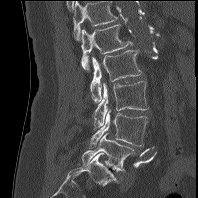 CT, spine — sagittal reformat — 198 mm image width — bone-window reconstruction — 198x198 px

Box edges are left/top/right/bottom in pixels.
The highest labeled vertebra in this scan is L1; the lowest is L5.
L1: left=80, top=24, right=132, bottom=71
L2: left=90, top=50, right=141, bottom=103
L3: left=93, top=81, right=149, bottom=127
L4: left=90, top=109, right=147, bottom=148
L5: left=82, top=133, right=133, bottom=171